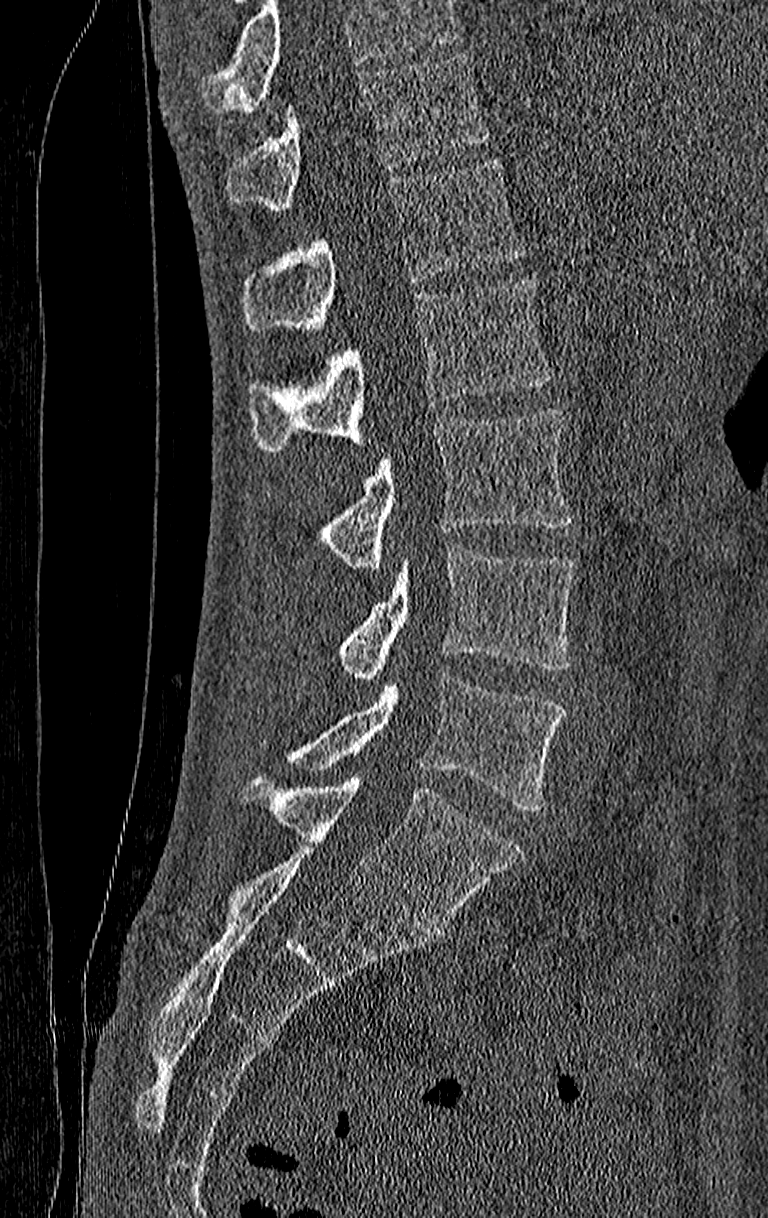

Spine CT — sagittal view — W/L 1800/400 HU — the image is 210 mm wide
Columns x1, y1, x2, y2 give each box's top-left and bottom-right pixels.
No box is given to a vertebra that the top edge of the scan cuts off.
Labels in this scan begin with T11 at the top and end with L4 at the bottom.
| vertebra | x1 | y1 | x2 | y2 |
|---|---|---|---|---|
| L4 | 288 | 673 | 565 | 812 |
| L3 | 339 | 546 | 575 | 680 |
| L2 | 320 | 410 | 575 | 570 |
| L1 | 247 | 278 | 550 | 453 |
| T12 | 244 | 158 | 524 | 333 |
| T11 | 225 | 53 | 488 | 211 |